CT, spine · sagittal reformat
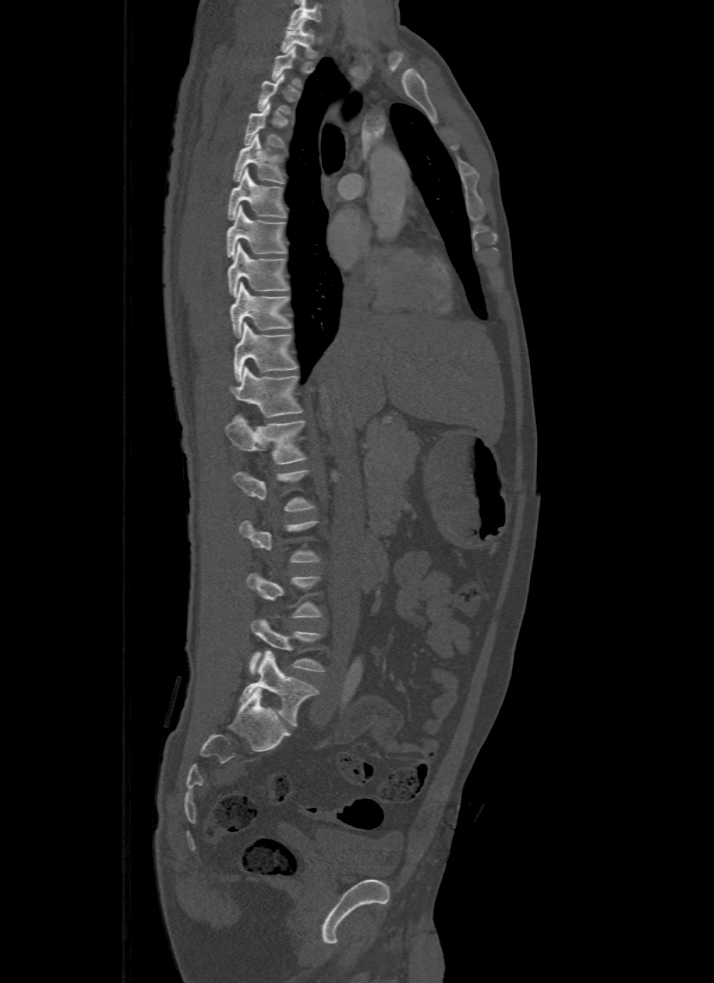

A vertebra gets a box only on the slices from the first to the last where its cross-section is at least a third of its largest; on a slice outside that range it gets none.
In this scan, the topmost labeled vertebra is T1 and the lowest is L5.
<vertebrae><v name="T1" x1="282" y1="19" x2="316" y2="58"/><v name="T3" x1="257" y1="73" x2="291" y2="114"/><v name="T4" x1="244" y1="103" x2="285" y2="148"/><v name="T5" x1="233" y1="133" x2="285" y2="183"/><v name="T6" x1="227" y1="168" x2="286" y2="219"/><v name="T7" x1="227" y1="205" x2="286" y2="257"/><v name="T8" x1="227" y1="243" x2="289" y2="297"/><v name="T9" x1="230" y1="282" x2="292" y2="337"/><v name="T10" x1="234" y1="322" x2="298" y2="381"/><v name="T11" x1="230" y1="366" x2="302" y2="417"/><v name="T12" x1="226" y1="416" x2="306" y2="464"/><v name="L4" x1="250" y1="619" x2="323" y2="672"/><v name="L5" x1="240" y1="650" x2="317" y2="725"/></vertebrae>